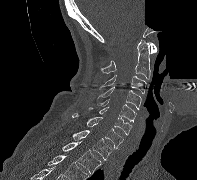 CT — sagittal view — Bone window (WL 400, WW 1800) — 197x180 px — part of the image has been replaced by a constant value
Bounding boxes as [x1, y1, x2, y2] in pixel coordinates.
C1: [149, 42, 156, 53]
C2: [101, 39, 150, 79]
C3: [98, 74, 146, 93]
C4: [97, 87, 141, 109]
C5: [97, 99, 136, 122]
C6: [89, 107, 132, 134]
C7: [72, 113, 124, 148]
T1: [72, 130, 112, 160]
T2: [62, 141, 101, 173]